Spine CT · Sagittal slice 240/512 · scan covers 20 annotated vertebrae
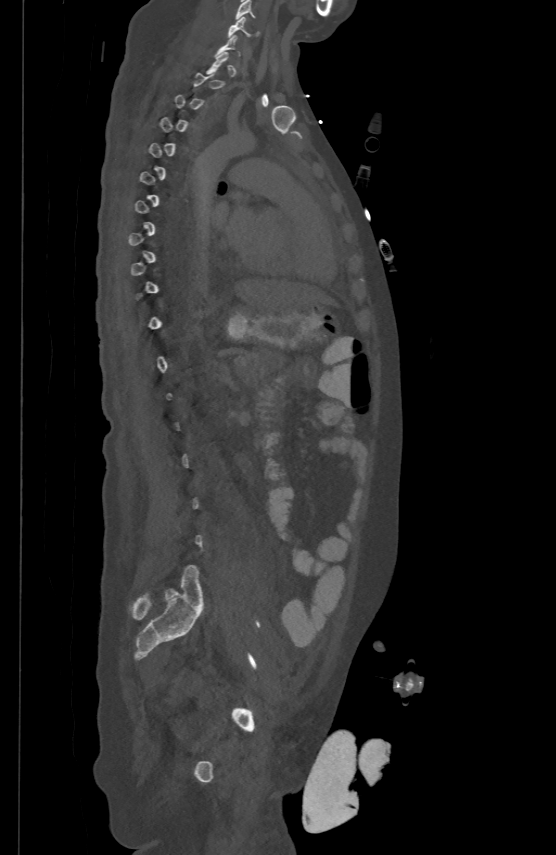 Each vertebra is boxed only on the slices from the first to the last where its cross-section reaches a third of its largest, so a slice outside that range leaves it unboxed.
<vertebrae><v name="C5" x1="235" y1="0" x2="255" y2="19"/><v name="C6" x1="228" y1="15" x2="249" y2="36"/></vertebrae>